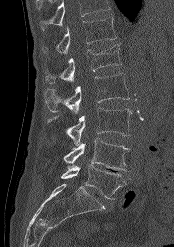

CT spine. sagittal view

Boxes are given in columns x1, y1, x2, y2, the pixel coordinates of their top-left and bottom-right corners.
A vertebra cut off by the top edge of the scan is not labeled and has no box.
| vertebra | x1 | y1 | x2 | y2 |
|---|---|---|---|---|
| L5 | 61 | 165 | 131 | 199 |
| L4 | 63 | 138 | 129 | 171 |
| L3 | 47 | 108 | 131 | 144 |
| L2 | 44 | 73 | 130 | 113 |
| L1 | 45 | 44 | 121 | 84 |
| T12 | 42 | 17 | 117 | 54 |